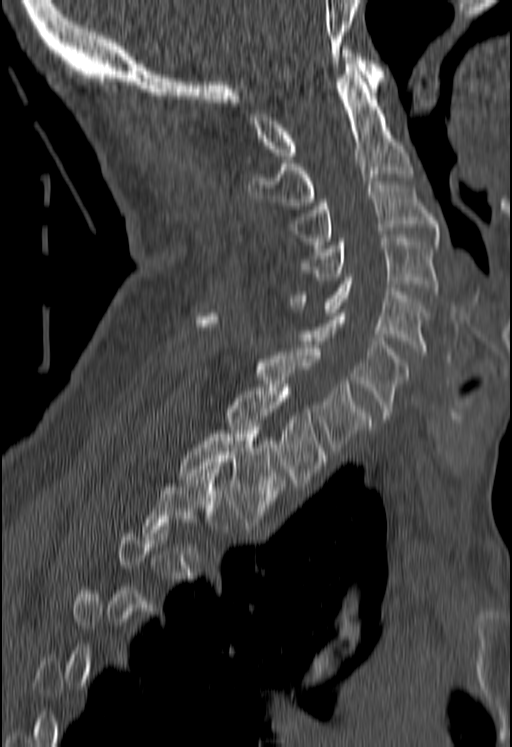
Spine computed tomography — sagittal view. Bounding boxes as [x1, y1, x2, y2] in pixel coordinates.
A vertebra gets a box only on the slices from the first to the last where its cross-section is at least a third of its largest; on a slice outside that range it gets none.
Vertebra bounding boxes:
- C1: [250, 46, 384, 159]
- C2: [248, 68, 412, 205]
- C3: [288, 181, 438, 244]
- C4: [300, 235, 438, 291]
- C5: [291, 277, 427, 355]
- C6: [302, 309, 410, 419]
- C7: [194, 313, 370, 454]
- T1: [226, 384, 324, 486]
- T2: [179, 427, 284, 525]